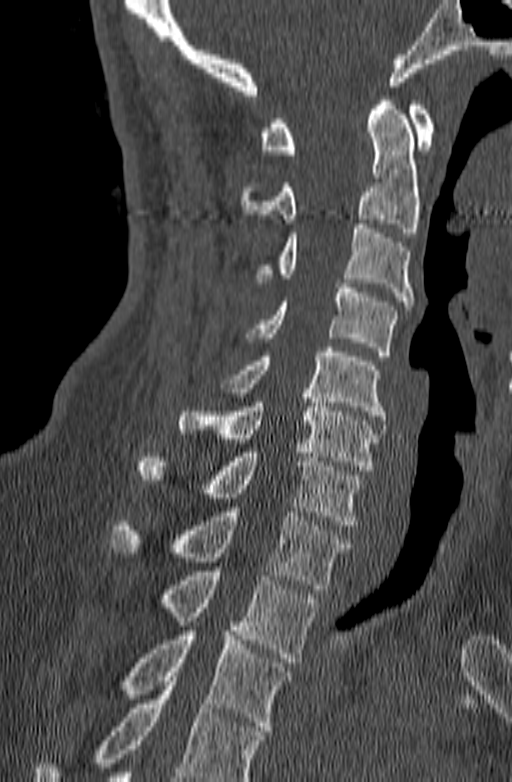
CT, spine — sagittal reformat — bone window — image width 140 mm — 512x782 px
Box values are [left, top, right, bottom] in pixels.
A vertebra cut off by the bottom edge of the scan is not labeled and has no box.
{"vertebrae":{"T3":[122,631,290,735],"T2":[155,571,318,662],"T1":[108,507,351,589],"C7":[137,448,362,525],"C6":[177,393,377,470],"C5":[221,347,386,420],"C4":[246,283,397,356],"C3":[257,224,413,310],"C2":[241,96,420,237],"C1":[260,101,434,154]}}